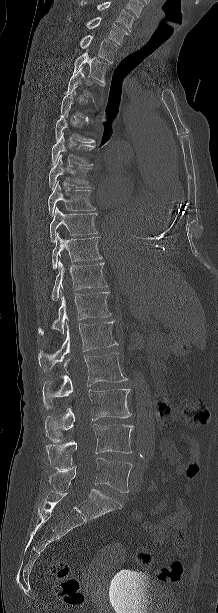
CT — sagittal view — bone window
Each row gives a vertebra's box as x1, y1, x2, y2 in pixels: top-left corner, then bottom-right corner.
Each vertebra is boxed only on the slices from the first to the last where its cross-section reaches a third of its largest, so a slice outside that range leaves it unboxed.
Labels in this scan begin with C7 at the top and end with L5 at the bottom.
| vertebra | x1 | y1 | x2 | y2 |
|---|---|---|---|---|
| C7 | 66 | 17 | 128 | 44 |
| T1 | 80 | 34 | 117 | 63 |
| T2 | 74 | 50 | 109 | 83 |
| T3 | 64 | 67 | 104 | 96 |
| T5 | 55 | 108 | 95 | 142 |
| T6 | 51 | 133 | 95 | 165 |
| T7 | 49 | 154 | 91 | 189 |
| T8 | 48 | 181 | 95 | 214 |
| T9 | 50 | 208 | 97 | 242 |
| T10 | 52 | 233 | 101 | 268 |
| T11 | 51 | 260 | 107 | 300 |
| T12 | 38 | 292 | 111 | 334 |
| L1 | 38 | 321 | 117 | 371 |
| L2 | 42 | 352 | 127 | 408 |
| L3 | 45 | 389 | 131 | 443 |
| L4 | 46 | 424 | 133 | 469 |
| L5 | 49 | 458 | 132 | 492 |